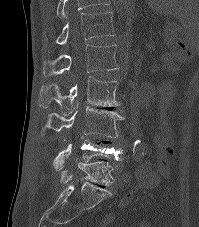
CT spine; sagittal view; Bone window (WL 400, WW 1800); the image is 199 mm wide; 199x227 px
Bounding boxes as [x1, y1, x2, y2] in pixel coordinates.
In this scan, the topmost labeled vertebra is T12 and the lowest is L5.
Vertebra bounding boxes:
- L5: [60, 161, 113, 185]
- L4: [53, 136, 123, 170]
- L3: [40, 106, 125, 137]
- L2: [39, 77, 120, 117]
- L1: [43, 43, 118, 76]
- T12: [43, 12, 115, 44]